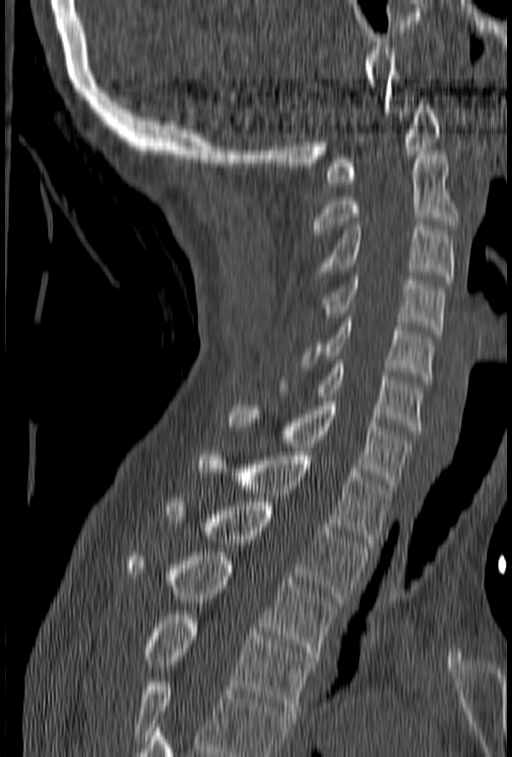
Computed tomography of the spine · sagittal reformat

No box is given to a vertebra that the bottom edge of the scan cuts off.
<vertebrae><v name="T4" x1="142" y1="615" x2="315" y2="710"/><v name="T3" x1="127" y1="552" x2="338" y2="660"/><v name="T2" x1="166" y1="502" x2="368" y2="601"/><v name="T1" x1="198" y1="452" x2="392" y2="547"/><v name="C7" x1="229" y1="397" x2="412" y2="488"/><v name="C6" x1="278" y1="360" x2="423" y2="434"/><v name="C5" x1="303" y1="314" x2="435" y2="380"/><v name="C4" x1="322" y1="276" x2="445" y2="334"/><v name="C3" x1="315" y1="222" x2="454" y2="283"/><v name="C2" x1="313" y1="151" x2="459" y2="233"/><v name="C1" x1="326" y1="96" x2="441" y2="187"/></vertebrae>